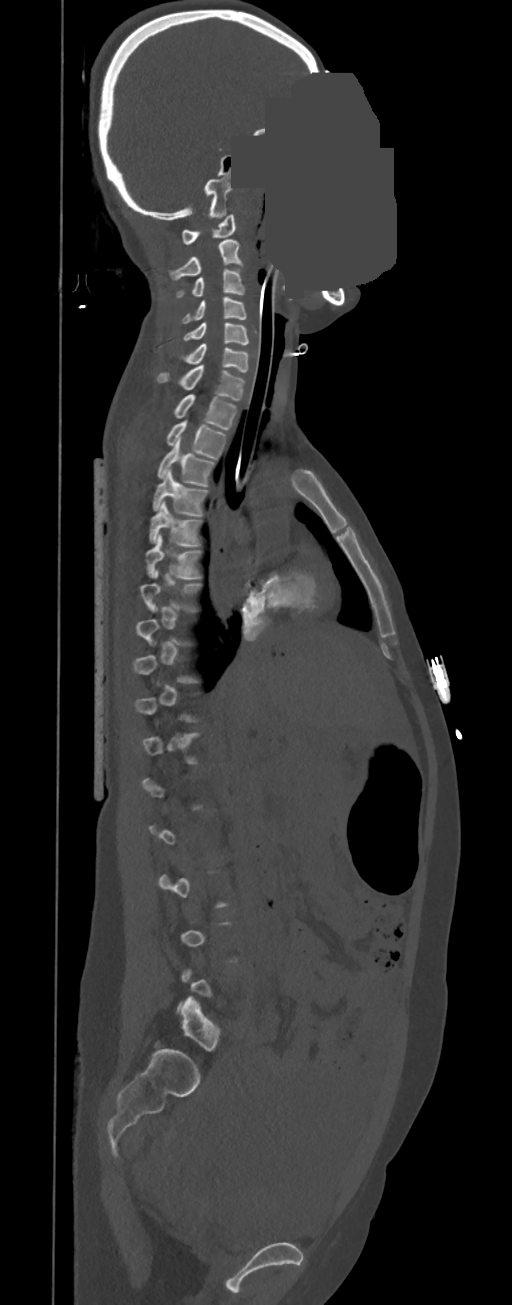
Computed tomography of the spine; 350 mm across the image; sagittal view; 512x1305 px; an area of the scan was removed and filled with constant pixels
Boxes are (x1, y1, x2, y2) in pixels.
Each vertebra is boxed only on the slices from the first to the last where its cross-section reaches a third of its largest, so a slice outside that range leaves it unboxed.
Vertebra bounding boxes:
- C1: (181, 215, 236, 244)
- C2: (169, 240, 243, 279)
- C3: (175, 269, 245, 297)
- C4: (181, 296, 246, 323)
- C5: (183, 323, 249, 344)
- C6: (180, 344, 248, 372)
- C7: (156, 365, 245, 401)
- T1: (172, 394, 237, 430)
- T2: (165, 420, 226, 458)
- T3: (156, 437, 215, 486)
- T4: (151, 469, 209, 516)
- T5: (149, 500, 204, 545)
- T6: (146, 533, 202, 578)
- T7: (140, 570, 202, 611)